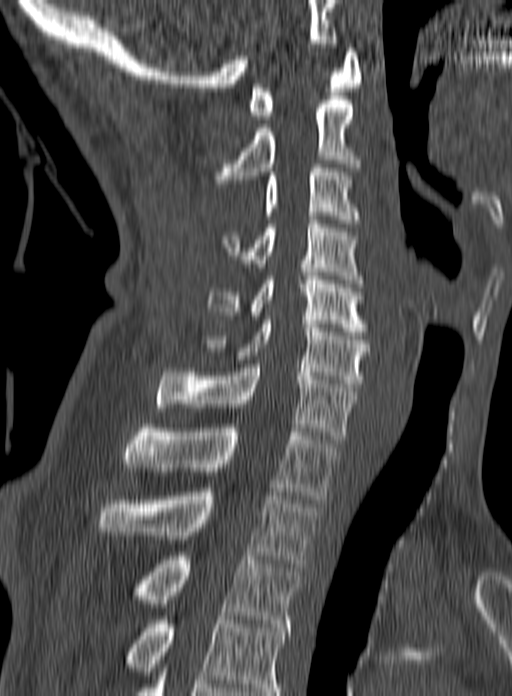
CT, spine — sagittal reformat

Columns x1, y1, x2, y2 give each box's top-left and bottom-right pixels.
The highest labeled vertebra in this scan is C1; the lowest is T3.
| vertebra | x1 | y1 | x2 | y2 |
|---|---|---|---|---|
| T3 | 132 | 552 | 301 | 627 |
| T2 | 97 | 492 | 320 | 567 |
| T1 | 124 | 424 | 339 | 499 |
| C7 | 155 | 364 | 356 | 443 |
| C6 | 201 | 320 | 370 | 387 |
| C5 | 207 | 276 | 368 | 335 |
| C4 | 222 | 216 | 362 | 287 |
| C3 | 263 | 164 | 358 | 223 |
| C2 | 216 | 100 | 359 | 183 |
| C1 | 248 | 48 | 362 | 119 |